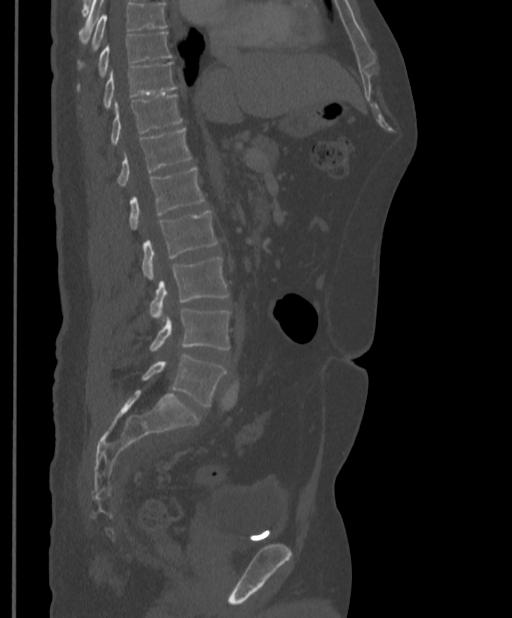
CT spine · image 397 mm wide · sagittal view
Boxes below are [x1, y1, x2, y2] in pixels.
No box is given to a vertebra that the top edge of the scan cuts off.
{"vertebrae":{"L5":[142,355,226,407],"L4":[149,308,230,352],"L3":[149,257,228,323],"L2":[142,210,217,280],"L1":[129,168,204,230],"T12":[117,128,191,186],"T11":[111,94,182,145],"T10":[104,62,176,107],"T9":[99,31,172,75]}}